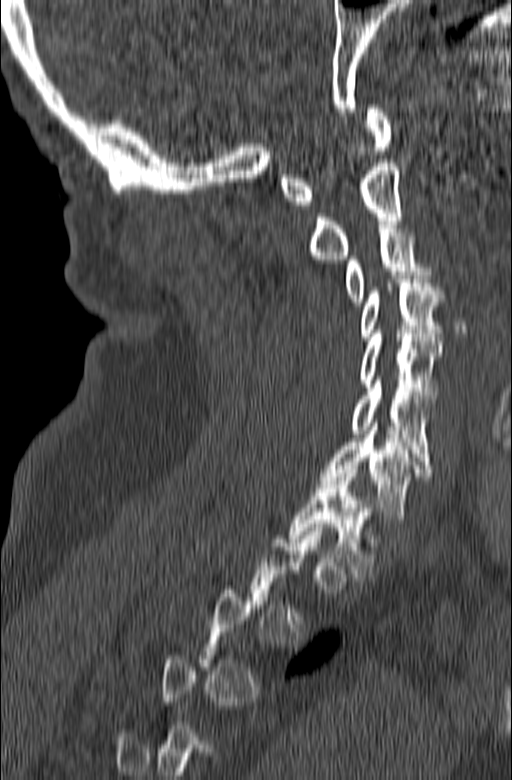
Computed tomography of the spine. sagittal view. 512x780 px

Box edges are left/top/right/bottom in pixels.
A vertebra is boxed only from the first to the last slice where its cross-section is at least a third of its largest; slices outside that range leave it without a box.
Vertebra bounding boxes:
- C1: left=280, top=105, right=391, bottom=205
- C2: left=308, top=159, right=403, bottom=259
- C3: left=345, top=225, right=431, bottom=305
- C4: left=358, top=275, right=444, bottom=340
- C5: left=358, top=330, right=441, bottom=402
- C6: left=352, top=380, right=434, bottom=468
- C7: left=319, top=419, right=432, bottom=523
- T1: left=289, top=469, right=374, bottom=581